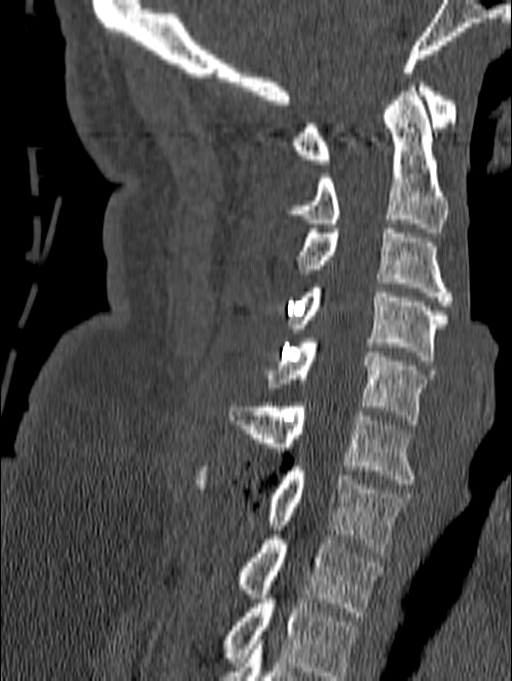

CT. sagittal view. 140 mm wide
Boxes: x1:y1:x2:y2 in pixels.
Labels in this scan begin with C1 at the top and end with T1 at the bottom.
C1: 293:78:456:164
C2: 286:82:447:232
C3: 298:229:454:305
C4: 290:283:447:360
C5: 265:338:434:424
C6: 228:402:415:484
C7: 195:466:406:552
T1: 239:526:383:616